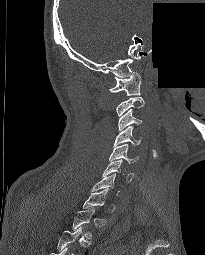

CT spine. image width 205 mm. sagittal view. an area of the scan was removed and filled with constant pixels. Bounding boxes as [x1, y1, x2, y2] in pixel coordinates. A vertebra gets a box only on the slices from the first to the last where its cross-section is at least a third of its largest; on a slice outside that range it gets none. 6 vertebrae labeled — C7 at [91, 173, 119, 195]; C6 at [102, 159, 134, 181]; C5 at [109, 144, 138, 163]; C4 at [113, 126, 140, 146]; C3 at [118, 108, 142, 130]; C1 at [109, 72, 141, 95].